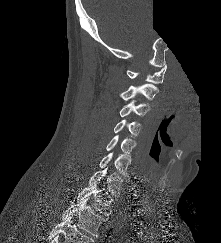 CT, spine · 221 mm wide · sagittal view · bone window · 221x243 px · some of the image was removed or blocked out with constant pixels

Boxes are (x1, y1, x2, y2) in pixels. 9 vertebrae labeled — C1 at (125, 64, 166, 83); C2 at (120, 83, 158, 100); C3 at (119, 99, 150, 117); C4 at (114, 119, 141, 138); C5 at (106, 135, 135, 153); C6 at (99, 152, 131, 177); C7 at (88, 167, 123, 197); T1 at (76, 181, 114, 215); T2 at (62, 197, 109, 236).